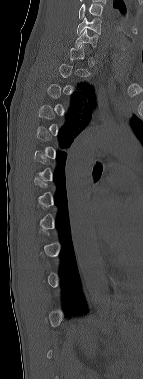

Spine computed tomography · the image is 143 mm wide · sagittal view · W/L 1800/400 HU

Coordinates as <box>x1,y1,x2,y2</box>.
Each vertebra is boxed only on the slices from the first to the last where its cross-section reaches a third of its largest, so a slice outside that range leaves it unboxed.
This scan's labels start at C6 at the top and end at T12 at the bottom.
C7: <box>75,29,97,48</box>
C6: <box>77,17,101,35</box>